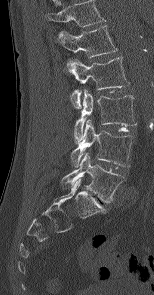

Spine computed tomography. 154 mm across the image. sagittal view. 154x295 px
Boxes: x1 y1 x2 y2 (pixel coords, space-separated).
In this scan, the topmost labeled vertebra is L1 and the lowest is L5.
L1: 59 25 117 57
L2: 64 56 129 109
L3: 74 89 136 144
L4: 70 119 133 167
L5: 61 153 125 202